CT spine; the image spans 180 mm across; sagittal plane, index 329; bone window; 512x789 px
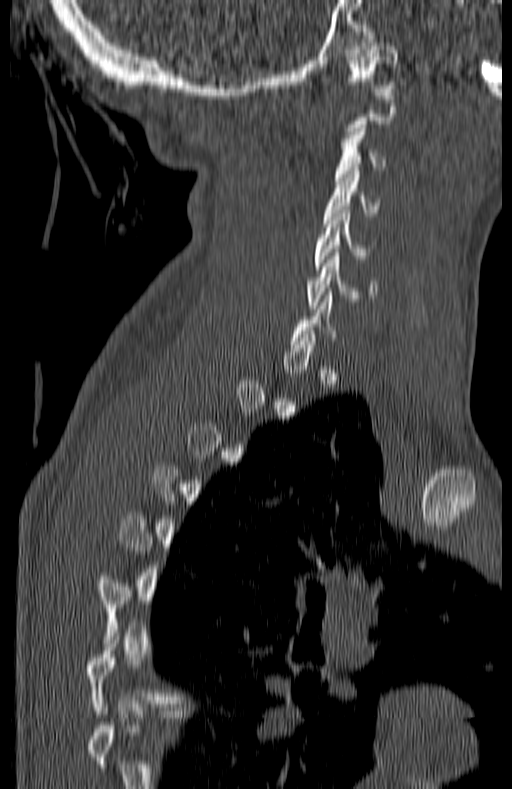

Box edges are left/top/right/bottom in pixels.
Not every vertebra on this slice has a box: a vertebra is boxed only from the first to the last slice where its cross-section is at least a third of its largest, and this slice is outside that range for at least one of them.
C6: left=308, top=249, right=375, bottom=308
C5: left=314, top=210, right=378, bottom=269
C4: left=324, top=171, right=378, bottom=219
C3: left=334, top=128, right=387, bottom=184
C1: left=345, top=43, right=398, bottom=91